CT, spine · the image spans 500 mm across · sagittal plane, index 271 · Bone window (WL 400, WW 1800) · 512x323 px
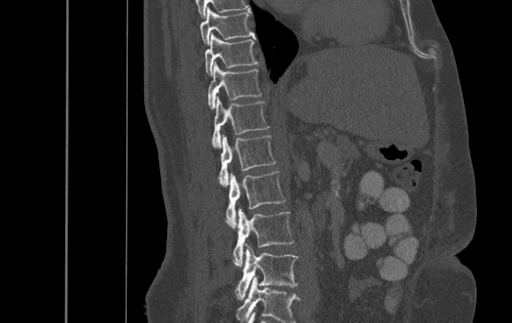 Boxes are (x1, y1, x2, y2) in pixels. This scan's labels start at T9 at the top and end at L4 at the bottom. Vertebrae labeled: T9 at (200, 7, 255, 44), T10 at (205, 33, 257, 75), T11 at (208, 61, 261, 109), T12 at (212, 96, 269, 147), L1 at (219, 134, 275, 185), L2 at (225, 171, 285, 227), L3 at (233, 208, 294, 265), L4 at (236, 244, 297, 299).